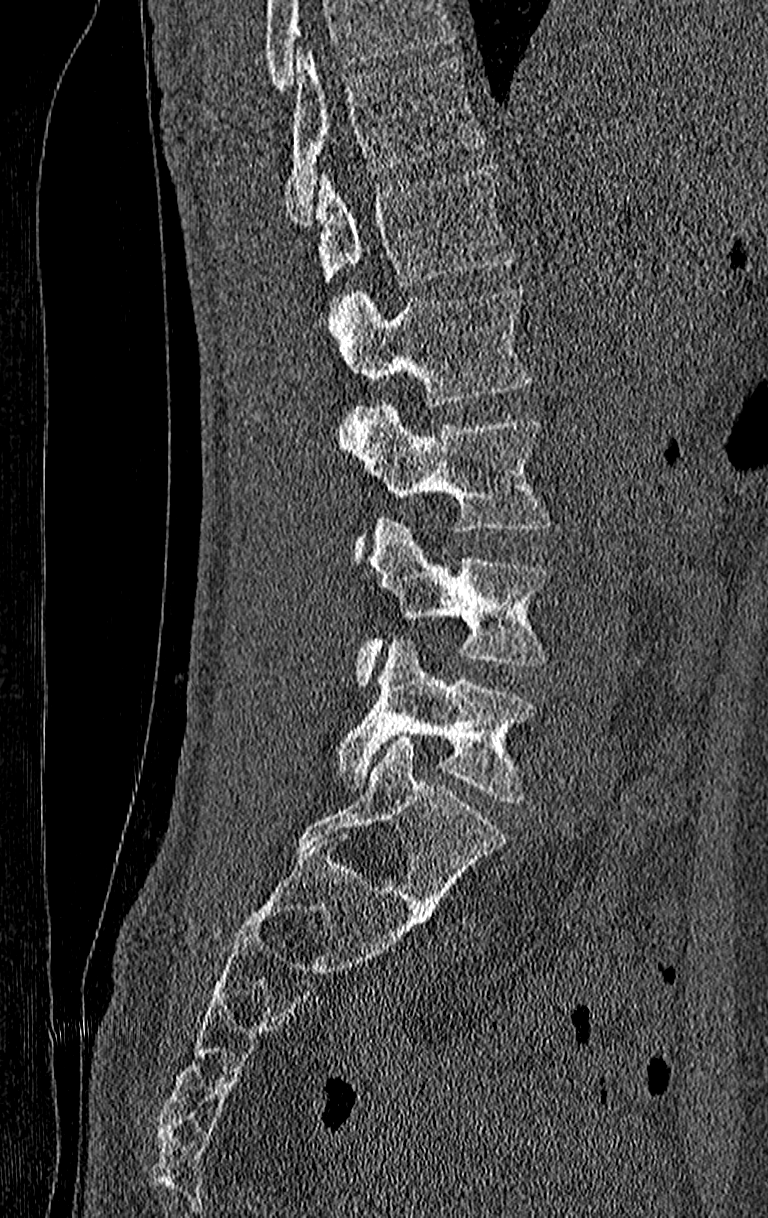 Spine CT — sagittal reformat — bone window — 768x1218 px. Boxes: x1:y1:x2:y2 in pixels.
No box is given to a vertebra that the top edge of the scan cuts off.
In this scan, the topmost labeled vertebra is T11 and the lowest is L4.
T11: 284:51:484:223
T12: 317:166:513:285
L1: 330:290:528:405
L2: 340:403:550:549
L3: 357:517:546:684
L4: 335:640:535:800